Spine computed tomography · Sagittal slice 236/512 · 527x755 px · 18 vertebrae labeled in this scan
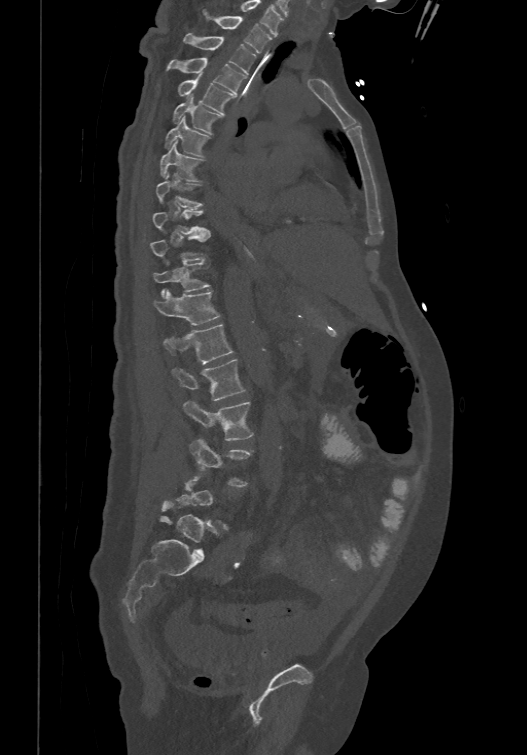 Boxes below are [x1, y1, x2, y2] in pixels.
A vertebra gets a box only on the slices from the first to the last where its cross-section is at least a third of its largest; on a slice outside that range it gets none.
In these labels the spine has an L6, a sixth lumbar vertebra below L5.
{"vertebrae":{"T1":[203,10,271,52],"T2":[183,32,255,73],"T3":[167,56,247,93],"T4":[178,72,234,113],"T5":[172,93,221,132],"T6":[165,115,208,155],"T7":[160,141,202,180],"T8":[155,173,202,206],"T9":[152,208,209,233],"T10":[150,233,210,261],"T11":[153,262,209,296],"T12":[154,288,219,324],"L1":[164,323,233,363],"L2":[172,358,245,401],"L3":[183,402,252,440],"L4":[190,439,250,486],"L6":[160,501,216,552]}}